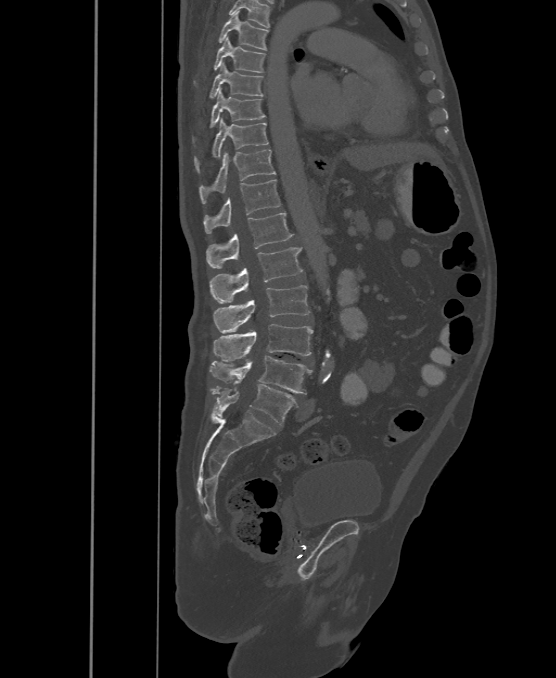
Computed tomography of the spine. sagittal view. 500 mm across the image
Box values are [left, top, right, bottom] in pixels.
These labels give the spine a sixth lumbar vertebra, L6, below L5.
{"vertebrae":{"T6":[218,11,268,49],"T7":[194,37,265,83],"T8":[208,64,263,98],"T9":[193,89,265,142],"T10":[194,118,268,173],"T11":[199,149,276,203],"T12":[203,179,280,234],"L1":[206,213,293,267],"L2":[211,247,303,303],"L3":[214,285,310,333],"L4":[213,324,313,361],"L5":[208,356,312,394],"L6":[212,384,297,425]}}